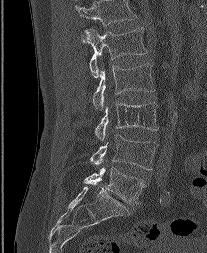 CT — sagittal reformat — 207 mm image width — bone window — 207x253 px
Each box given as x1,y1,x2,y2.
This scan's labels start at L1 at the top and end at L5 at the bottom.
L1: x1=83, y1=27, x2=147, y2=77
L2: x1=93, y1=63, x2=154, y2=109
L3: x1=95, y1=101, x2=157, y2=140
L4: x1=90, y1=134, x2=157, y2=169
L5: x1=84, y1=166, x2=144, y2=205